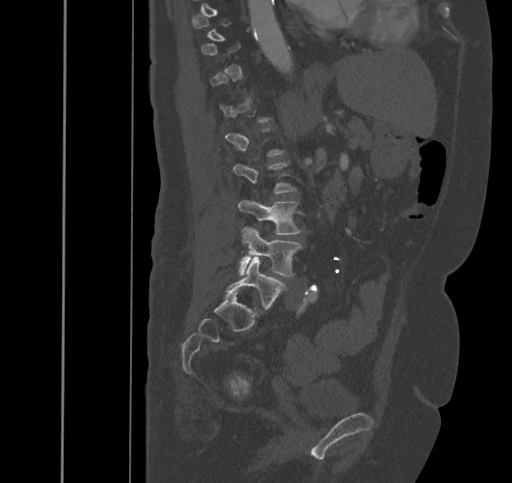 CT. sagittal view. bone-window reconstruction
Not every vertebra on this slice has a box: a vertebra is boxed only from the first to the last slice where its cross-section is at least a third of its largest, and this slice is outside that range for at least one of them.
<vertebrae><v name="L3" x1="238" y1="200" x2="300" y2="234"/><v name="L4" x1="239" y1="227" x2="302" y2="275"/><v name="L5" x1="225" y1="256" x2="285" y2="313"/></vertebrae>